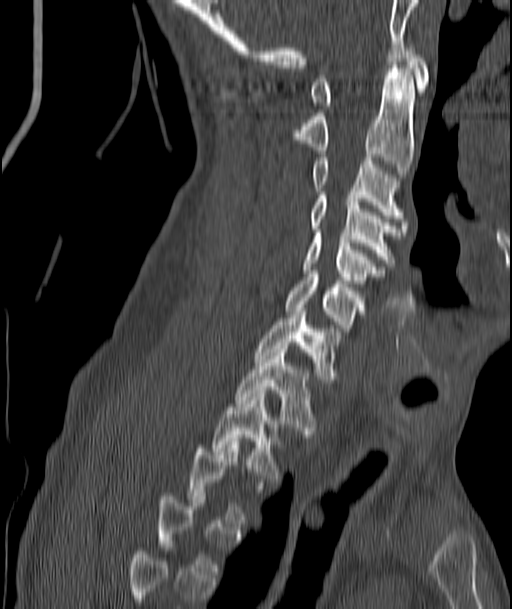

CT spine · the image spans 187 mm across · sagittal view
A vertebra gets a box only on the slices from the first to the last where its cross-section is at least a third of its largest; on a slice outside that range it gets none.
<vertebrae><v name="C1" x1="310" y1="44" x2="428" y2="109"/><v name="C2" x1="291" y1="68" x2="414" y2="177"/><v name="C3" x1="313" y1="157" x2="402" y2="218"/><v name="C4" x1="310" y1="192" x2="405" y2="266"/><v name="C5" x1="302" y1="233" x2="383" y2="286"/><v name="C6" x1="286" y1="274" x2="364" y2="334"/><v name="C7" x1="255" y1="308" x2="339" y2="382"/><v name="T1" x1="236" y1="349" x2="315" y2="437"/><v name="T2" x1="212" y1="394" x2="279" y2="478"/></vertebrae>